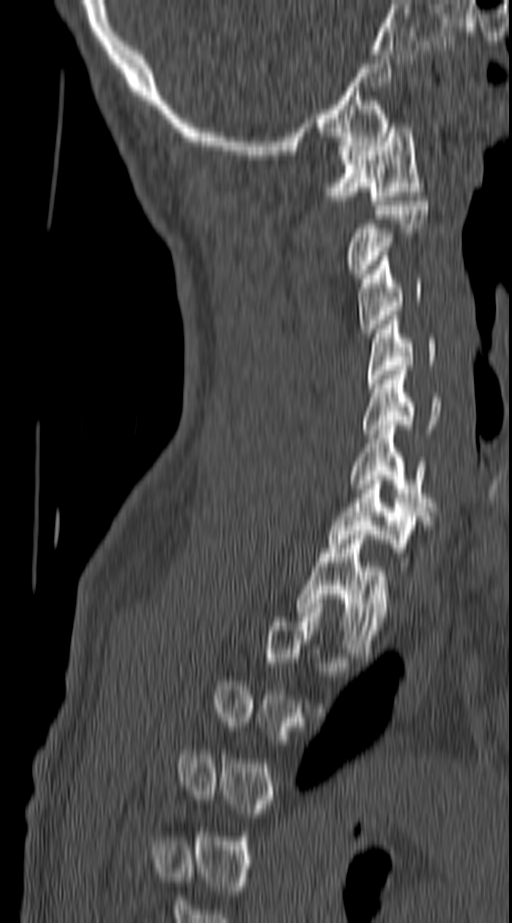 Spine computed tomography — sagittal view

Bounding boxes as [x1, y1, x2, y2] in pixel coordinates. A vertebra is boxed only from the first to the last slice where its cross-section is at least a third of its largest; slices outside that range leave it without a box. Vertebrae labeled: C1 at [327, 123, 423, 205], C2 at [349, 201, 428, 273], C3 at [358, 256, 423, 333], C4 at [367, 315, 436, 388], C5 at [363, 370, 443, 438], C6 at [350, 425, 432, 511], C7 at [327, 480, 426, 552], T1 at [297, 530, 388, 657].